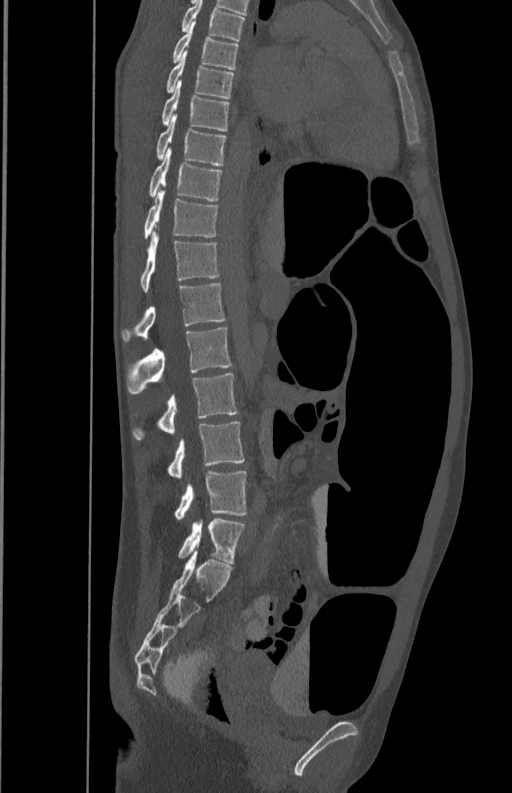
CT, spine · sagittal view · bone window · 512x793 px
In the table, x1 and y1 are a box's top-left corner and x2 and y2 its bottom-right corner, in pixels.
| vertebra | x1 | y1 | x2 | y2 |
|---|---|---|---|---|
| T5 | 181 | 1 | 245 | 41 |
| T6 | 172 | 21 | 239 | 69 |
| T7 | 167 | 53 | 234 | 98 |
| T8 | 162 | 82 | 228 | 131 |
| T9 | 156 | 113 | 226 | 165 |
| T10 | 149 | 147 | 223 | 200 |
| T11 | 143 | 188 | 218 | 239 |
| T12 | 140 | 230 | 220 | 291 |
| L1 | 121 | 282 | 226 | 341 |
| L2 | 127 | 328 | 231 | 394 |
| L3 | 133 | 373 | 237 | 439 |
| L4 | 168 | 421 | 245 | 478 |
| L5 | 174 | 471 | 247 | 519 |